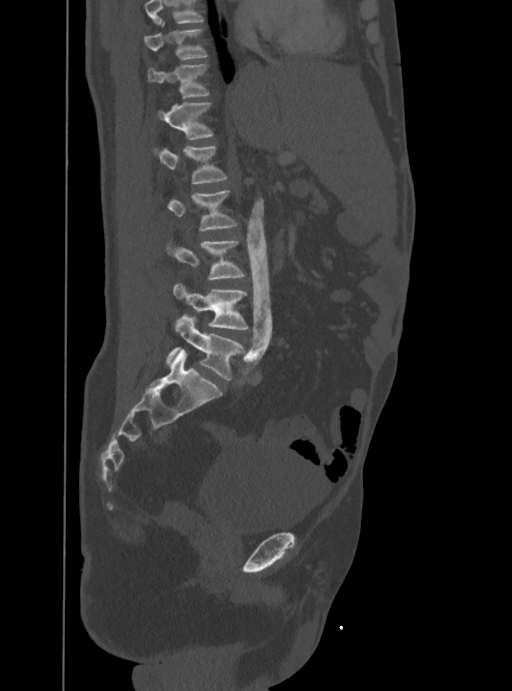
CT, spine — sagittal reformat — the image spans 388 mm across — 512x691 px
Box values are [left, top, right, bottom] in pixels.
No box is given to a vertebra that the top edge of the scan cuts off.
{"vertebrae":{"T10":[144,20,207,60],"T11":[148,64,209,98],"T12":[158,103,213,139],"L1":[153,146,227,183],"L2":[167,190,236,231],"L3":[166,240,244,280],"L4":[173,283,248,329],"L5":[166,315,244,380]}}